Spine computed tomography · sagittal view · bone window · an area of the scan was removed and filled with constant pixels
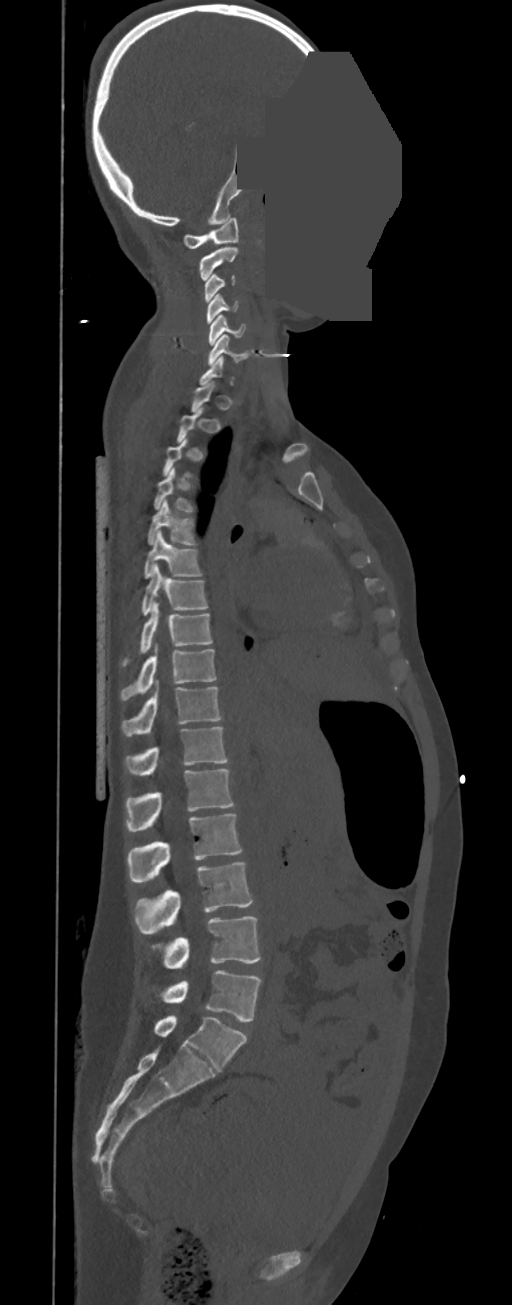 Bounding boxes as [x1, y1, x2, y2] in pixel coordinates.
A vertebra is boxed only from the first to the last slice where its cross-section is at least a third of its largest; slices outside that range leave it without a box.
These labels give this spine no T12: after T11 the next vertebra is L1.
C1: [183, 217, 239, 248]
C2: [199, 246, 238, 281]
C3: [205, 274, 235, 302]
C4: [206, 294, 239, 323]
C5: [209, 315, 246, 345]
C6: [207, 334, 249, 365]
T4: [153, 467, 195, 512]
T5: [148, 499, 199, 545]
T6: [143, 531, 204, 578]
T7: [140, 565, 208, 615]
T8: [121, 602, 212, 667]
T9: [120, 646, 217, 701]
T10: [121, 686, 223, 736]
T11: [124, 727, 228, 774]
L1: [126, 769, 234, 831]
L2: [127, 814, 242, 882]
L3: [136, 862, 253, 934]
L4: [164, 916, 261, 969]
L5: [164, 970, 261, 1022]